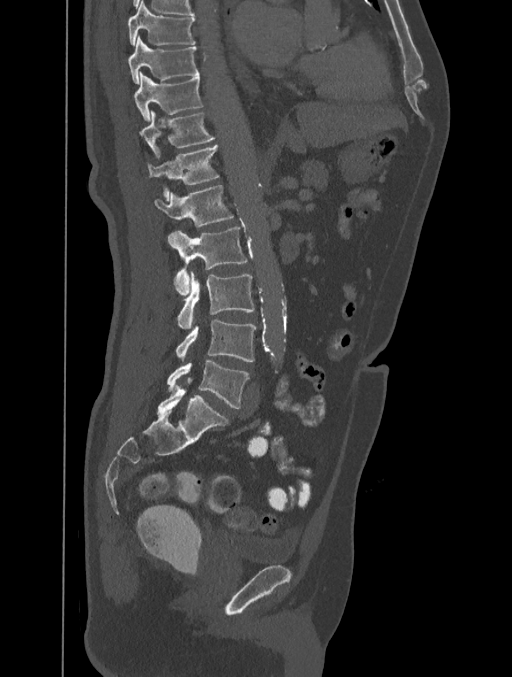
CT. sagittal reformat. bone window. image 401 mm wide
<vertebrae><v name="T8" x1="128" y1="1" x2="196" y2="45"/><v name="T9" x1="128" y1="36" x2="198" y2="83"/><v name="T10" x1="134" y1="72" x2="203" y2="121"/><v name="T11" x1="139" y1="111" x2="215" y2="158"/><v name="T12" x1="147" y1="145" x2="218" y2="200"/><v name="L1" x1="154" y1="185" x2="233" y2="227"/><v name="L2" x1="167" y1="226" x2="247" y2="295"/><v name="L3" x1="177" y1="271" x2="254" y2="329"/><v name="L4" x1="176" y1="319" x2="255" y2="362"/><v name="L5" x1="167" y1="360" x2="249" y2="408"/></vertebrae>